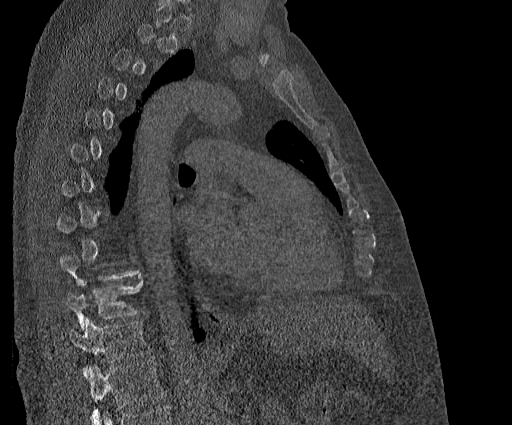 CT, spine; sagittal view; 384 mm wide; Bone window (WL 400, WW 1800); 512x425 px

Each vertebra maps to its box as [x1, y1, x2, y2], the pixel coordinates of its top-left and bottom-right corners.
A vertebra is boxed only from the first to the last slice where its cross-section is at least a third of its largest; slices outside that range leave it without a box.
This scan's labels start at T2 at the top and end at T11 at the bottom.
{"vertebrae":{"T11":[69,317,151,376],"T10":[66,275,142,330]}}